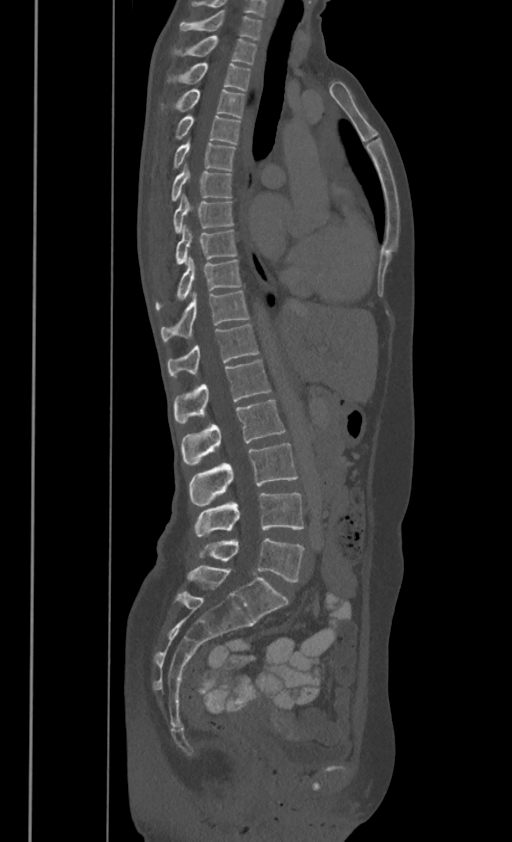

CT, spine; sagittal view; Bone window (WL 400, WW 1800); 512x842 px. Box edges are left/top/right/bottom in pixels. In these labels the spine has no T12: the thoracic vertebrae end at T11, and L1 comes next. Vertebrae labeled: C7 at left=180, top=8, right=261, bottom=38, T1 at left=172, top=35, right=256, bottom=63, T2 at left=167, top=62, right=250, bottom=90, T3 at left=160, top=87, right=244, bottom=117, T4 at left=175, top=113, right=240, bottom=143, T5 at left=174, top=142, right=235, bottom=170, T6 at left=171, top=162, right=231, bottom=201, T7 at left=172, top=193, right=234, bottom=231, T8 at left=175, top=226, right=236, bottom=263, T9 at left=155, top=255, right=240, bottom=309, T10 at left=160, top=290, right=248, bottom=340, T11 at left=167, top=324, right=257, bottom=374, L1 at left=174, top=359, right=271, bottom=423, L2 at left=182, top=399, right=284, bottom=466, L3 at left=190, top=443, right=297, bottom=505, L4 at left=195, top=493, right=304, bottom=537, L5 at left=199, top=538, right=304, bottom=582.